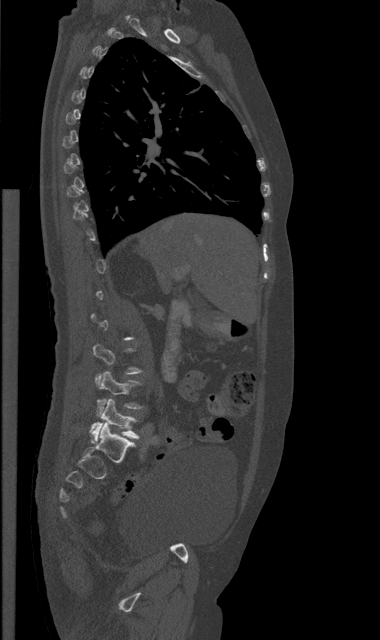
CT, spine; sagittal view; W/L 1800/400 HU
Each box given as x1,y1,x2,y2.
Not every vertebra on this slice has a box: a vertebra is boxed only from the first to the last slice where its cross-section is at least a third of its largest, and this slice is outside that range for at least one of them.
Vertebra bounding boxes:
- L4: x1=97, y1=371, x2=141, y2=415
- L5: x1=90, y1=399, x2=138, y2=441